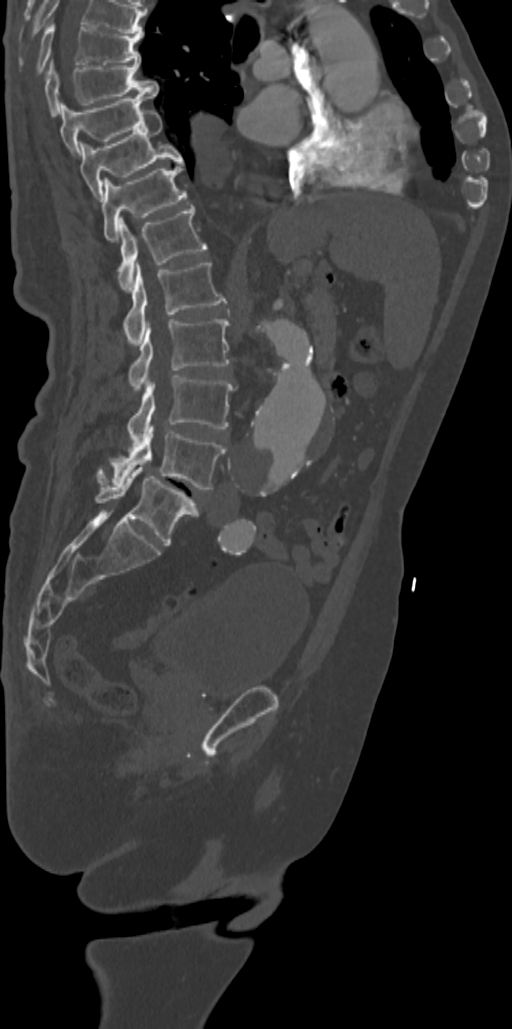
CT, spine. sagittal view. 342 mm across the image

Each row gives a vertebra's box as x1, y1, x2, y2 in pixels: top-left corner, then bottom-right corner.
Labels in this scan begin with T7 at the top and end with L5 at the bottom.
| vertebra | x1 | y1 | x2 | y2 |
|---|---|---|---|---|
| L5 | 96 | 467 | 198 | 545 |
| L4 | 97 | 425 | 225 | 489 |
| L3 | 127 | 375 | 232 | 446 |
| L2 | 129 | 319 | 229 | 390 |
| L1 | 124 | 261 | 226 | 345 |
| T12 | 117 | 204 | 207 | 291 |
| T11 | 102 | 162 | 186 | 242 |
| T10 | 78 | 110 | 183 | 201 |
| T9 | 60 | 94 | 152 | 154 |
| T8 | 45 | 61 | 158 | 116 |
| T7 | 37 | 22 | 141 | 71 |